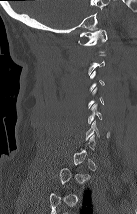

CT, spine. sagittal view. 137x214 px

Each box given as x1,y1,x2,y2.
Not every vertebra on this slice has a box: a vertebra is boxed only from the first to the last slice where its cross-section is at least a third of its largest, and this slice is outside that range for at least one of them.
Vertebra bounding boxes:
- C1: x1=78, y1=29, x2=107, y2=52
- C6: x1=85, y1=118, x2=109, y2=140